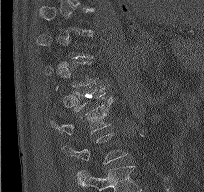
Spine CT — sagittal reformat — 204 mm image width

Coordinates as <box>x1,y1,x2,y2</box>.
Each vertebra is boxed only on the slices from the first to the last where its cross-section reaches a third of its largest, so a slice outside that range leaves it unboxed.
T12: <box>72,84,107,112</box>
L1: <box>56,98,112,134</box>